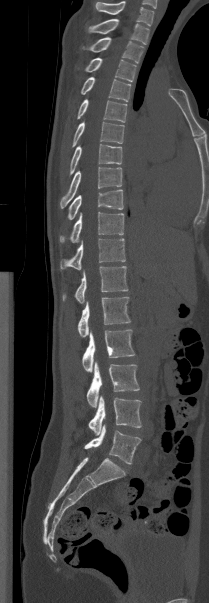

CT — sagittal view
Boxes: x1:y1:x2:y2 in pixels.
Labels in this scan begin with T1 at the top and end with L5 at the bottom.
Vertebra bounding boxes:
- T1: 88:19:148:44
- T2: 82:37:143:63
- T3: 84:57:136:81
- T4: 81:77:130:101
- T5: 77:98:127:122
- T6: 72:121:124:146
- T7: 69:144:122:175
- T8: 60:167:122:208
- T9: 68:189:123:219
- T10: 59:212:123:242
- T11: 60:238:125:269
- T12: 62:266:127:303
- L1: 77:297:130:337
- L2: 82:329:135:372
- L3: 86:361:139:407
- L4: 88:395:141:435
- L5: 84:424:141:464